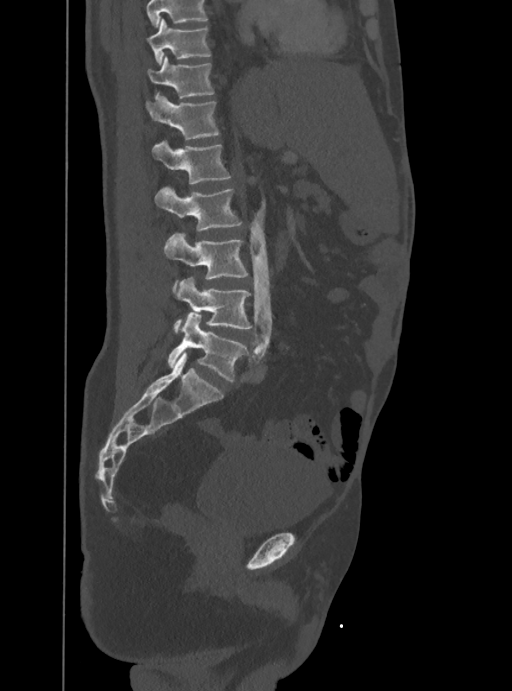 Computed tomography of the spine; sagittal view; W/L 1800/400 HU; image width 388 mm
Box values are [left, top, right, bottom] in pixels.
Where the top of the scan cuts through a vertebra, that vertebra gets no label or box.
{"vertebrae":{"T10":[148,18,211,63],"T11":[148,56,214,98],"T12":[145,93,219,139],"L1":[152,140,231,183],"L2":[154,186,242,231],"L3":[163,232,248,292],"L4":[174,277,252,332],"L5":[167,314,247,381]}}